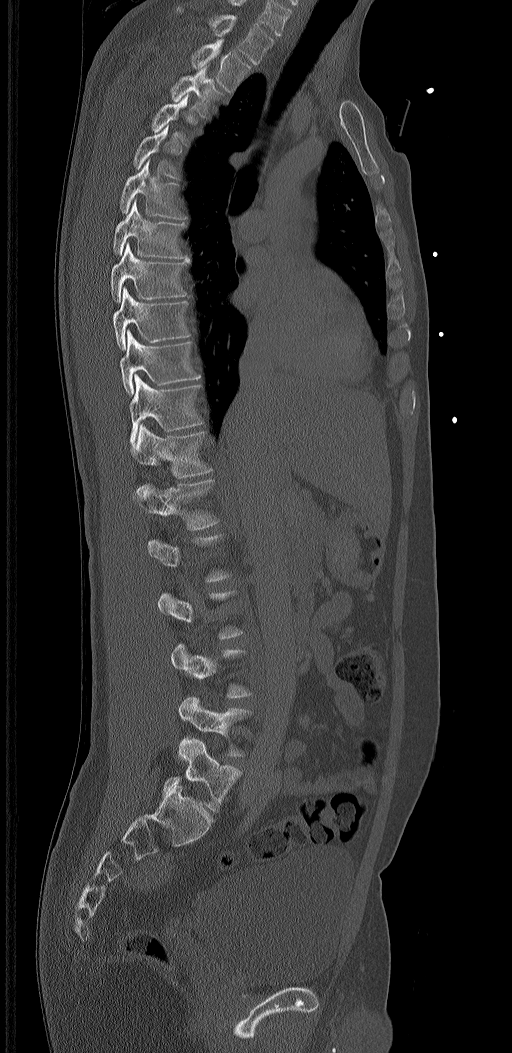
Computed tomography of the spine · sagittal view
Bounding boxes as [x1, y1, x2, y2] in pixel coordinates.
Not every vertebra on this slice has a box: a vertebra is boxed only from the first to the last slice where its cross-section is at least a third of its largest, and this slice is outside that range for at least one of them.
The labels name a sixth lumbar vertebra for this spine: L6, after L5.
Vertebra bounding boxes:
- T1: [209, 14, 273, 65]
- T2: [191, 40, 251, 92]
- T3: [170, 66, 222, 117]
- T5: [133, 125, 180, 180]
- T6: [120, 159, 185, 219]
- T7: [113, 198, 190, 262]
- T8: [111, 242, 187, 302]
- T9: [112, 287, 190, 352]
- T10: [120, 330, 201, 393]
- T11: [130, 374, 203, 446]
- T12: [130, 424, 212, 478]
- L1: [133, 479, 219, 529]
- L5: [178, 696, 251, 756]
- L6: [163, 738, 241, 811]